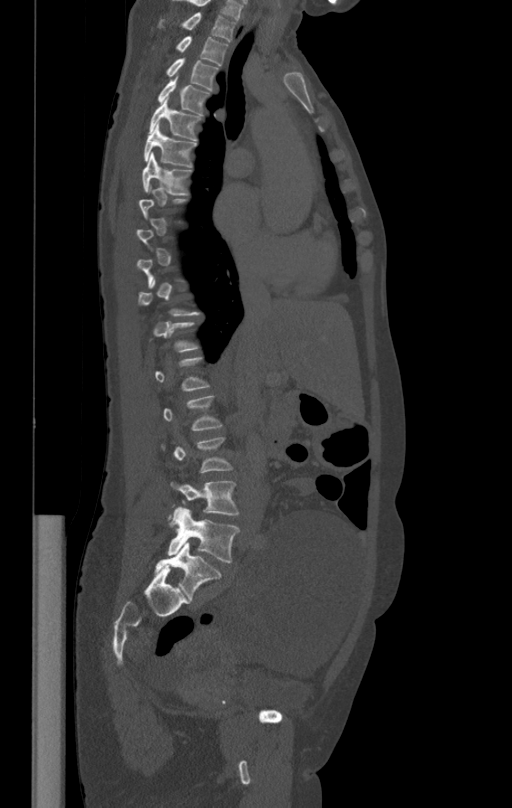
Spine computed tomography; sagittal view; the image is 412 mm wide; bone window; 512x808 px
Each box given as x1,y1,x2,y2.
Not every vertebra on this slice has a box: a vertebra is boxed only from the first to the last slice where its cross-section is at least a third of its largest, and this slice is outside that range for at least one of them.
T1: x1=158, y1=12, x2=236, y2=42
T2: x1=175, y1=36, x2=228, y2=65
T3: x1=165, y1=58, x2=219, y2=91
T4: x1=157, y1=78, x2=210, y2=114
T5: x1=150, y1=100, x2=201, y2=140
T6: x1=144, y1=124, x2=196, y2=167
T7: x1=142, y1=152, x2=191, y2=194
L2: x1=163, y1=395, x2=223, y2=430
L3: x1=161, y1=437, x2=233, y2=472
L4: x1=170, y1=480, x2=239, y2=520
L5: x1=168, y1=507, x2=240, y2=563